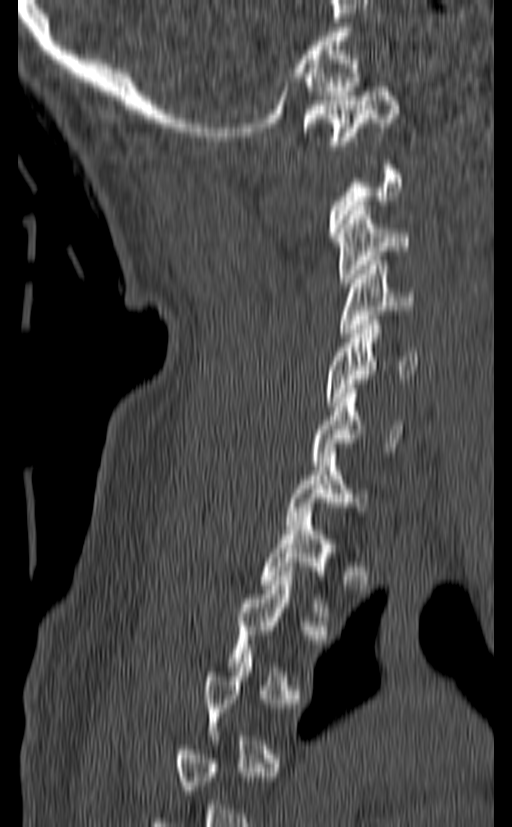 CT. image 140 mm wide. sagittal view. Boxes: x1:y1:x2:y2 in pixels.
A vertebra gets a box only on the slices from the first to the last where its cross-section is at least a third of its largest; on a slice outside that range it gets none.
Vertebra bounding boxes:
- C1: 303:87:399:145
- C3: 335:206:409:287
- C4: 338:261:414:337
- C5: 323:320:417:406
- C6: 312:384:404:465
- C7: 286:453:368:529
- T1: 261:512:342:616